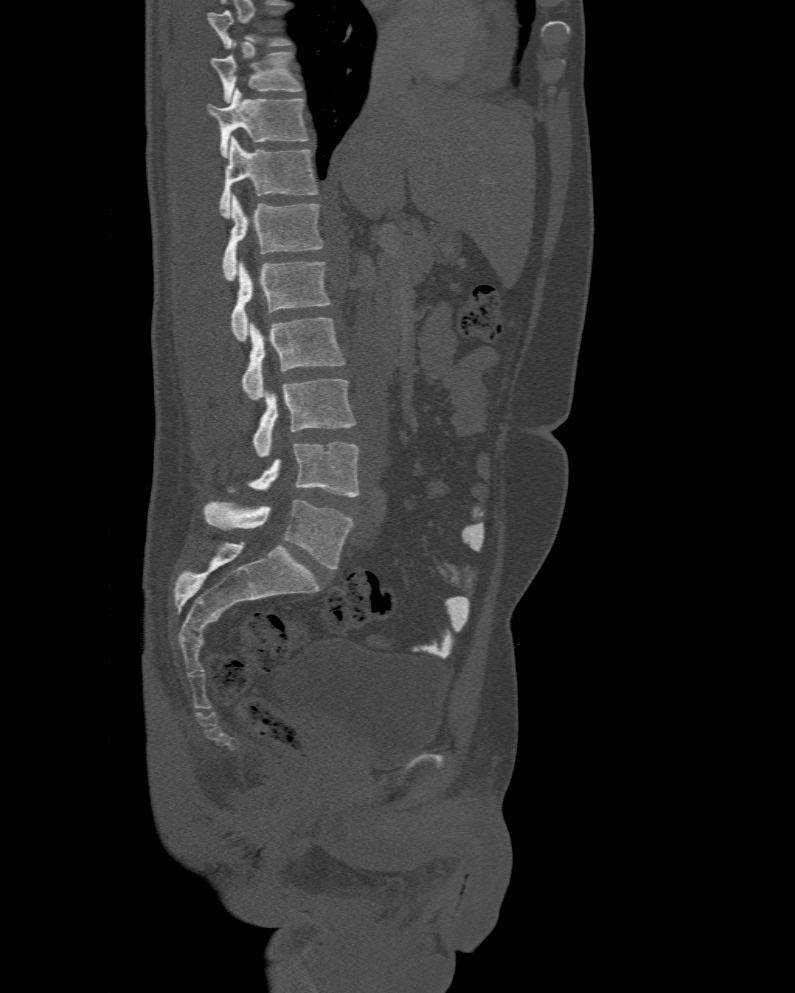
Spine CT; sagittal view; 795x993 px. Coordinates as <box>x1,y1,x2,y2</box>. This scan's labels start at T10 at the top and end at L6 at the bottom. In these labels the spine has an L6, a sixth lumbar vertebra below L5. The labeled vertebrae in this slice are: T10 at <box>210,52,300,102</box>, T11 at <box>207,88,308,157</box>, T12 at <box>219,137,317,218</box>, L1 at <box>222,195,322,281</box>, L2 at <box>231,261,331,341</box>, L3 at <box>242,317,344,401</box>, L4 at <box>253,378,356,457</box>, L5 at <box>250,442,359,496</box>, L6 at <box>203,500,353,569</box>.